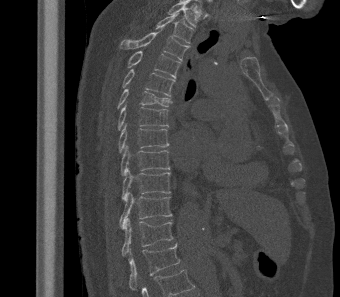

CT; sagittal view; 340 mm across the image; 340x297 px

Boxes below are [x1, y1, x2, y2] in pixels.
The highest labeled vertebra in this scan is T2; the lowest is L1.
{"vertebrae":{"T2":[154,13,193,43],"T3":[119,31,189,60],"T4":[127,50,180,78],"T5":[122,69,175,96],"T6":[117,89,172,109],"T7":[117,104,168,130],"T8":[118,123,169,153],"T9":[121,145,170,175],"T10":[121,168,170,200],"T11":[119,192,172,228],"T12":[121,218,173,256],"L1":[129,243,180,293]}}